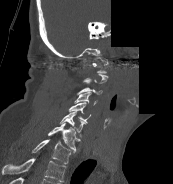
CT, spine — sagittal view — 173x184 px — some of the image was removed or blocked out with constant pixels
Boxes are (x1, y1, x2, y2) in pixels.
Each vertebra is boxed only on the slices from the first to the last where its cross-section reaches a third of its largest, so a slice outside that range leaves it unboxed.
The highest labeled vertebra in this scan is C1; the lowest is T1.
T1: (32, 138, 71, 164)
C7: (47, 122, 80, 152)
C6: (59, 111, 87, 137)
C5: (68, 102, 91, 122)
C4: (74, 91, 97, 105)
C3: (77, 87, 102, 95)
C1: (92, 58, 108, 73)